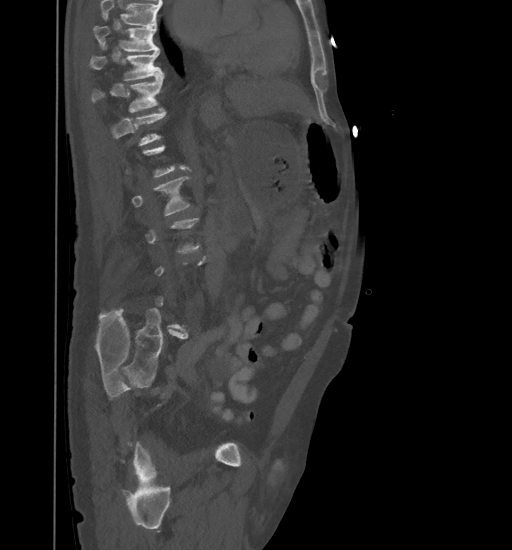 CT, spine — sagittal view — Bone window (WL 400, WW 1800) — 512x550 px — the image is 461 mm wide. Boxes are (x1, y1, x2, y2) in pixels.
A vertebra is boxed only from the first to the last slice where its cross-section is at least a third of its largest; slices outside that range leave it without a box.
A vertebra cut off by the top edge of the scan is not labeled and has no box.
T9: (93, 25, 159, 51)
T10: (90, 46, 164, 80)
T11: (91, 72, 162, 112)
L2: (132, 177, 191, 215)